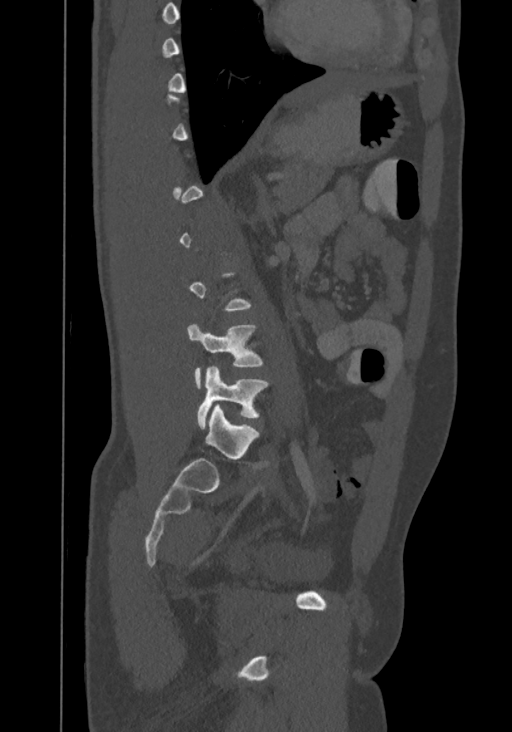 CT · sagittal reformat · Bone window (WL 400, WW 1800)
Each vertebra is boxed only on the slices from the first to the last where its cross-section reaches a third of its largest, so a slice outside that range leaves it unboxed.
This scan's labels start at T8 at the top and end at L4 at the bottom.
<vertebrae><v name="L3" x1="187" y1="324" x2="262" y2="387"/><v name="L4" x1="198" y1="367" x2="268" y2="428"/></vertebrae>